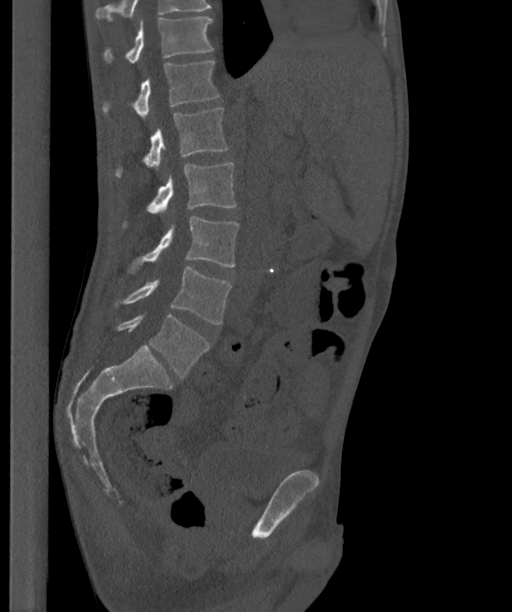 CT · sagittal view
Boxes: x1:y1:x2:y2 in pixels.
In this scan, the topmost labeled vertebra is T12 and the lowest is L6.
In these labels the spine has an L6, a sixth lumbar vertebra below L5.
Vertebra bounding boxes:
- T12: 103:17:213:62
- L1: 103:61:219:118
- L2: 115:108:229:177
- L3: 123:162:236:227
- L4: 128:216:239:272
- L5: 114:267:232:324
- L6: 115:315:209:377